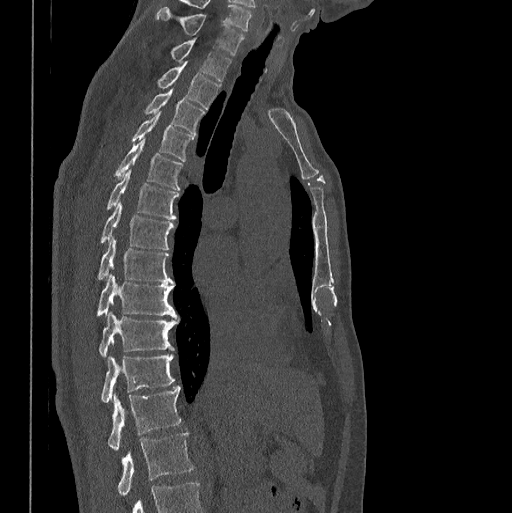

CT, spine · 398 mm wide · sagittal reformat · W/L 1800/400 HU · 512x513 px
Boxes below are [x1, y1, x2, y2] in pixels.
This scan's labels start at C7 at the top and end at L1 at the bottom.
{"vertebrae":{"C7":[157,7,243,56],"T1":[171,38,230,81],"T2":[157,61,220,108],"T3":[144,88,205,133],"T4":[131,111,193,161],"T5":[114,139,183,190],"T6":[107,169,179,220],"T7":[100,201,174,249],"T8":[98,237,173,283],"T9":[96,273,178,317],"T10":[99,313,178,357],"T11":[101,353,175,403],"T12":[108,386,180,451],"L1":[117,432,193,496]}}